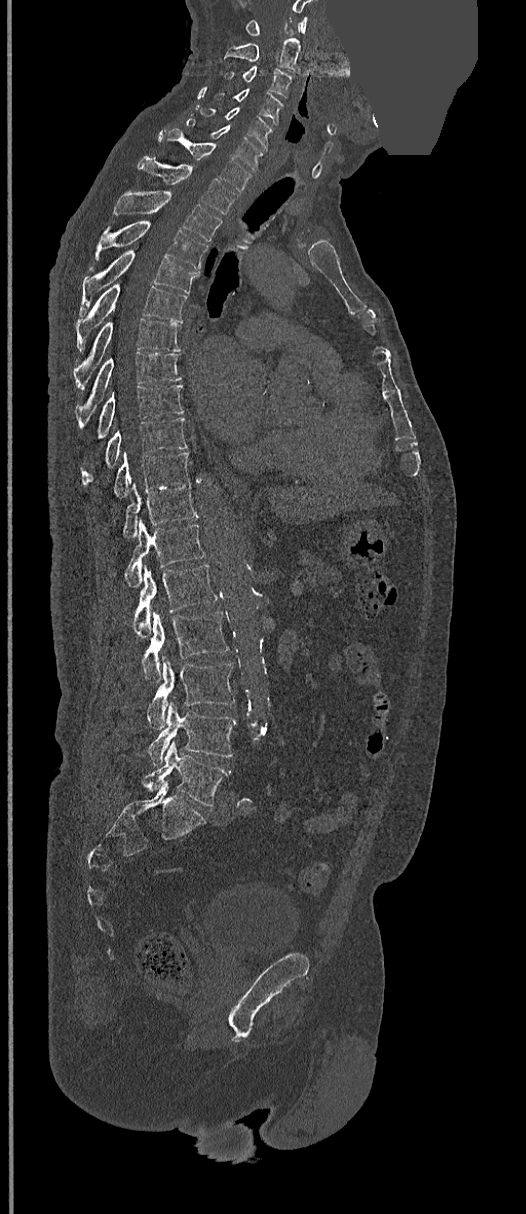 CT spine — sagittal view — W/L 1800/400 HU — 526x1214 px — a region is masked with a constant gray value. Bounding boxes as [x1, y1, x2, y2] in pixel coordinates. Vertebrae labeled: L5 at [142, 741, 232, 806], L4 at [147, 698, 236, 765], L3 at [147, 656, 234, 729], L2 at [142, 611, 229, 683], L1 at [132, 564, 218, 636], T12 at [124, 520, 204, 586], T11 at [121, 481, 197, 538], T10 at [113, 451, 190, 498], T9 at [81, 417, 187, 485], T8 at [95, 384, 183, 439], T7 at [76, 351, 182, 425], T6 at [74, 319, 180, 389], T5 at [76, 275, 187, 350], T4 at [80, 250, 199, 312], T3 at [95, 220, 207, 269], T2 at [113, 191, 222, 240], T1 at [137, 157, 236, 213], C7 at [158, 129, 252, 192], C6 at [187, 117, 265, 172], C5 at [198, 107, 272, 149], C4 at [215, 89, 283, 125], C3 at [227, 66, 292, 99], C2 at [224, 37, 300, 73], C1 at [245, 17, 307, 36].